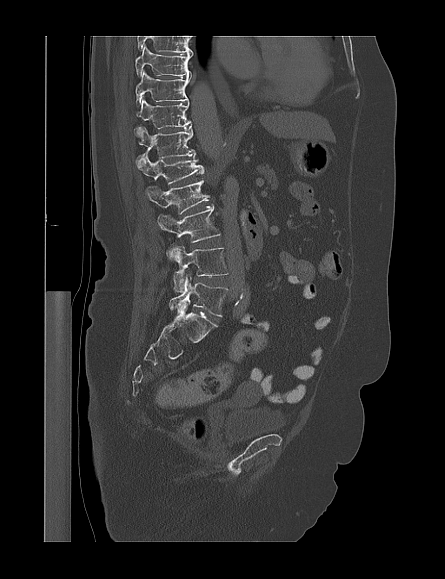
Spine computed tomography; sagittal view; bone window

In the table, x1 and y1 are a box's top-left corner and x2 and y2 its bottom-right corner, in pixels.
The highest labeled vertebra in this scan is T9; the lowest is L5.
| vertebra | x1 | y1 | x2 | y2 |
|---|---|---|---|---|
| T9 | 135 | 45 | 192 | 77 |
| T10 | 135 | 71 | 190 | 105 |
| T11 | 134 | 99 | 190 | 136 |
| T12 | 136 | 127 | 196 | 164 |
| L1 | 137 | 155 | 204 | 184 |
| L2 | 146 | 180 | 209 | 214 |
| L3 | 158 | 206 | 220 | 260 |
| L4 | 173 | 246 | 228 | 291 |
| L5 | 169 | 273 | 227 | 316 |